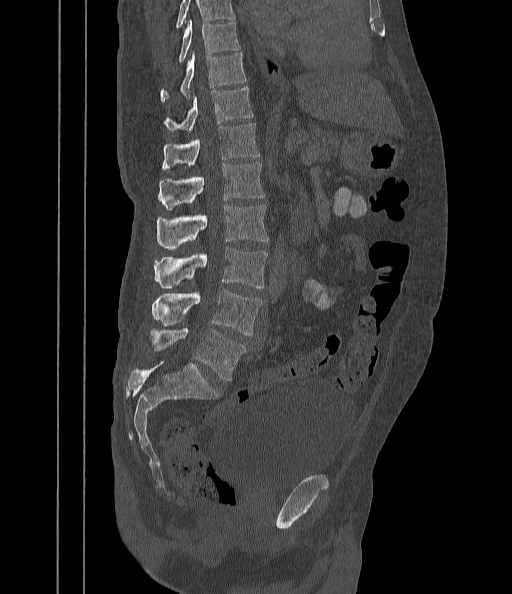 Spine CT — 442 mm wide — sagittal view
Vertebrae that run past the top of the scan are left unlabeled.
<vertebrae><v name="T9" x1="178" y1="19" x2="240" y2="63"/><v name="T10" x1="160" y1="54" x2="246" y2="103"/><v name="T11" x1="163" y1="87" x2="253" y2="131"/><v name="T12" x1="162" y1="123" x2="260" y2="171"/><v name="L1" x1="157" y1="162" x2="264" y2="209"/><v name="L2" x1="156" y1="205" x2="268" y2="249"/><v name="L3" x1="154" y1="247" x2="268" y2="289"/><v name="L4" x1="152" y1="290" x2="261" y2="336"/><v name="L5" x1="151" y1="328" x2="246" y2="380"/></vertebrae>